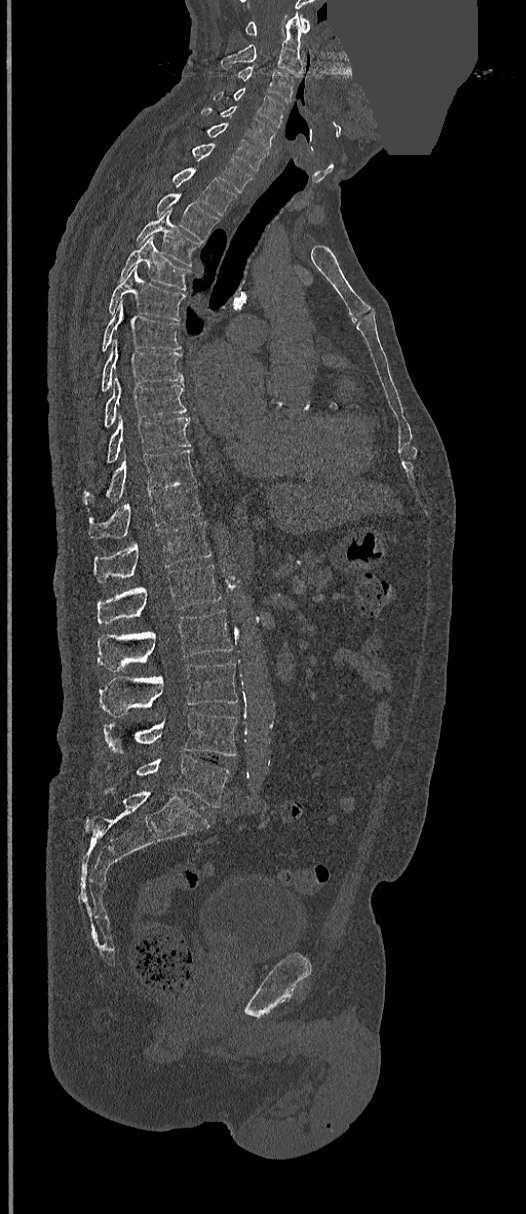 CT; sagittal reformat; image 368 mm wide; bone window; a region of this slice is masked with a uniform fill
Boxes: x1 y1 x2 y2 (pixel coords, space-separated). 24 vertebrae labeled — C1 at 245 16 310 35; C2 at 221 13 303 76; C3 at 237 66 293 102; C4 at 213 87 284 126; C5 at 203 106 274 150; C6 at 207 123 267 170; C7 at 191 143 252 192; T1 at 172 167 236 215; T2 at 157 193 219 242; T3 at 136 209 201 266; T4 at 119 236 190 290; T5 at 109 266 185 320; T6 at 102 303 180 350; T7 at 102 340 183 390; T8 at 104 377 186 426; T9 at 107 416 190 463; T10 at 82 450 194 505; T11 at 88 480 200 539; T12 at 94 521 212 582; L1 at 97 564 220 623; L2 at 97 610 232 672; L3 at 100 661 237 716; L4 at 103 711 237 756; L5 at 109 756 230 808.